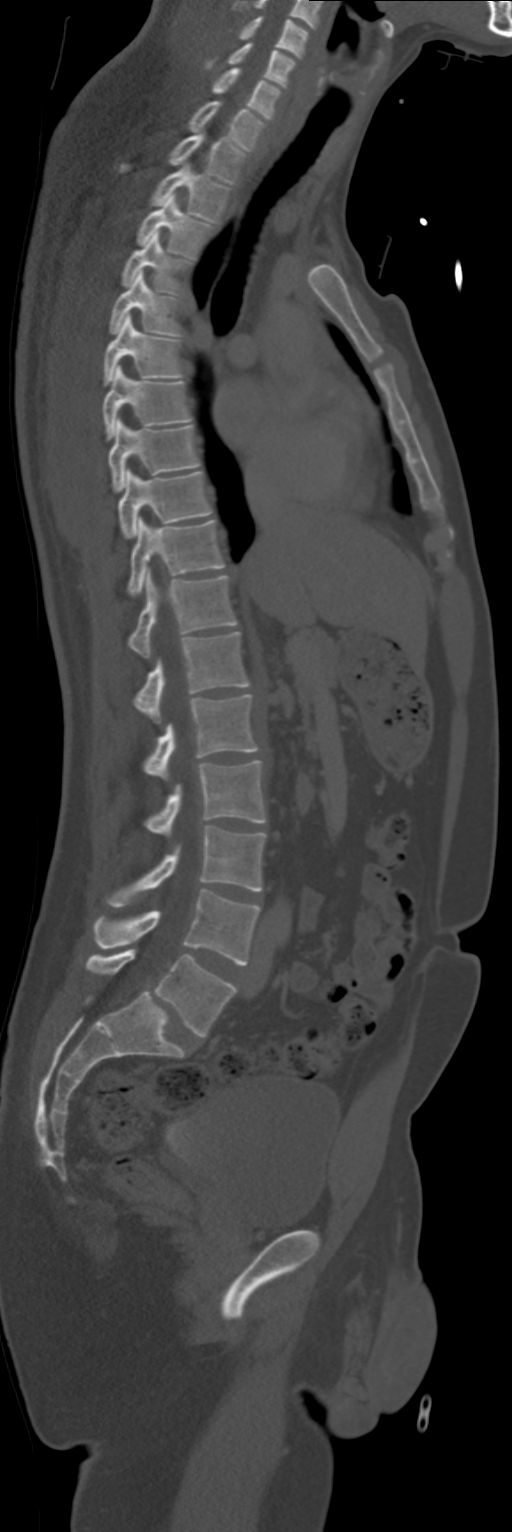 CT spine — sagittal view — 512x1532 px — image width 268 mm

<vertebrae><v name="C4" x1="239" y1="16" x2="307" y2="57"/><v name="C5" x1="207" y1="42" x2="294" y2="87"/><v name="C6" x1="213" y1="67" x2="280" y2="120"/><v name="C7" x1="188" y1="102" x2="265" y2="150"/><v name="T1" x1="121" y1="132" x2="244" y2="183"/><v name="T2" x1="149" y1="165" x2="229" y2="223"/><v name="T3" x1="136" y1="194" x2="212" y2="257"/><v name="T4" x1="123" y1="231" x2="191" y2="295"/><v name="T5" x1="109" y1="270" x2="180" y2="336"/><v name="T6" x1="104" y1="316" x2="181" y2="385"/><v name="T7" x1="102" y1="365" x2="191" y2="441"/><v name="T8" x1="107" y1="419" x2="198" y2="492"/><v name="T9" x1="119" y1="469" x2="212" y2="538"/><v name="T10" x1="128" y1="517" x2="225" y2="595"/><v name="T11" x1="128" y1="568" x2="236" y2="657"/><v name="T12" x1="134" y1="633" x2="248" y2="723"/><v name="L1" x1="144" y1="694" x2="257" y2="779"/><v name="L2" x1="146" y1="761" x2="265" y2="834"/><v name="L3" x1="107" y1="826" x2="265" y2="907"/><v name="L4" x1="94" y1="889" x2="259" y2="964"/><v name="L5" x1="86" y1="949" x2="236" y2="1037"/></vertebrae>